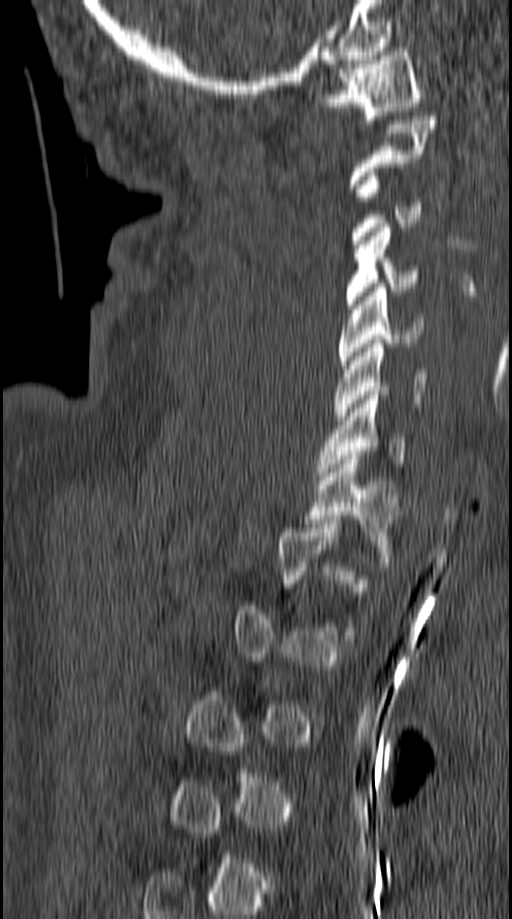
Spine computed tomography — image width 149 mm — sagittal view
Each vertebra maps to its box as [x1, y1, x2, y2], the pixel coordinates of its top-left and bottom-right corners.
Each vertebra is boxed only on the slices from the first to the last where its cross-section reaches a third of its largest, so a slice outside that range leaves it unboxed.
{"vertebrae":{"T1":[307,451,403,562],"C7":[318,391,406,476],"C6":[334,344,427,420],"C5":[338,283,423,368],"C4":[345,223,419,313],"C3":[350,172,423,244],"C1":[316,47,423,119]}}